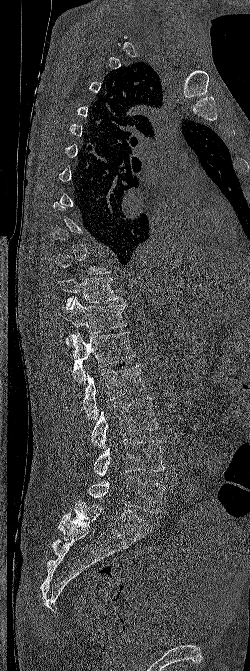

Spine CT; sagittal view; bone-window reconstruction
Boxes: x1:y1:x2:y2 in pixels.
Not every vertebra on this slice has a box: a vertebra is boxed only from the first to the last slice where its cross-section is at least a third of its largest, and this slice is outside that range for at least one of them.
Vertebra bounding boxes:
- T11: 58:278:122:307
- T12: 58:297:126:345
- L1: 72:332:135:383
- L2: 83:364:145:419
- L3: 91:397:158:449
- L4: 94:438:165:476
- L5: 87:475:165:513